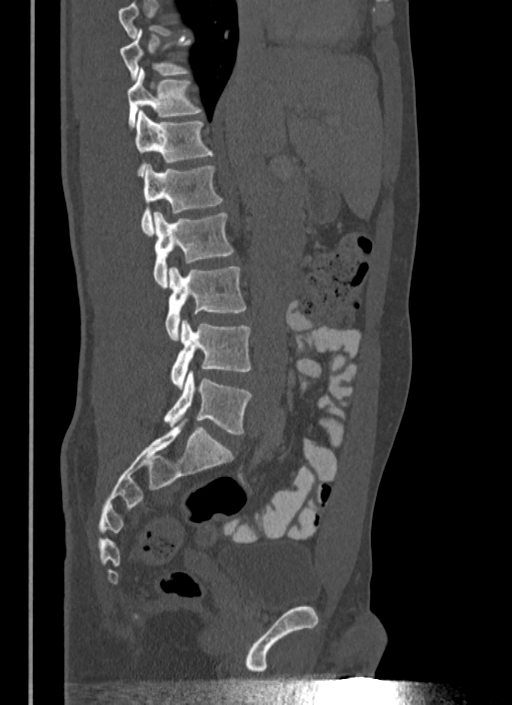

Computed tomography of the spine; sagittal reformat. Each box given as x1,y1,x2,y2.
No box is given to a vertebra that the top edge of the scan cuts off.
L5: x1=164, y1=370, x2=252, y2=434
L4: x1=170, y1=319, x2=252, y2=388
L3: x1=165, y1=267, x2=246, y2=341
L2: x1=153, y1=212, x2=234, y2=288
L1: x1=141, y1=163, x2=223, y2=235
T12: x1=135, y1=110, x2=213, y2=177
T11: x1=128, y1=68, x2=202, y2=129
T10: x1=120, y1=29, x2=191, y2=79